Spine CT. sagittal view. scan covers 9 annotated vertebrae
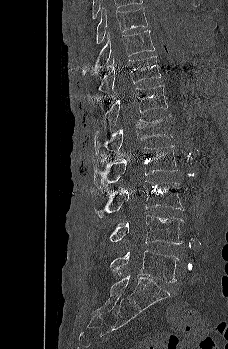

Bounding boxes as [x1, y1, x2, y2] in pixel coordinates.
L5: [110, 250, 179, 282]
L4: [109, 214, 183, 245]
L3: [95, 180, 184, 217]
L2: [94, 145, 178, 189]
L1: [94, 114, 174, 155]
T12: [103, 85, 168, 125]
T11: [98, 55, 161, 94]
T10: [82, 30, 155, 76]
T9: [96, 7, 148, 43]